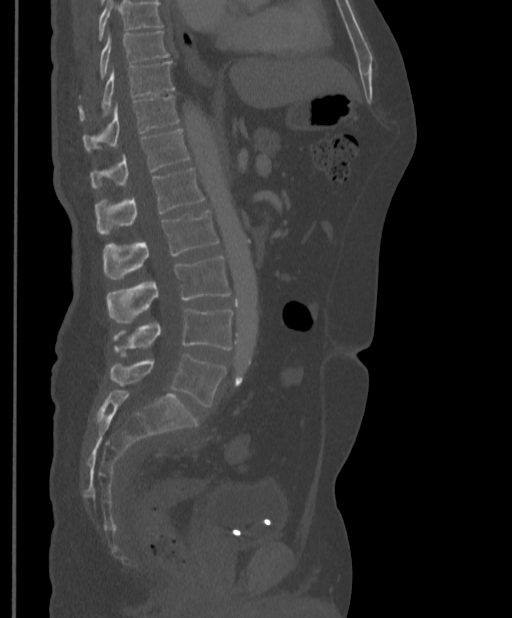
CT, spine — sagittal reformat — the image is 397 mm wide — bone window
Coordinates as <box>x1,y1,x2,y2</box>.
Vertebrae that run past the top of the scan are left unlabeled.
Vertebra bounding boxes:
- T9: <box>99,31,169,78</box>
- T10: <box>80,61,174,120</box>
- T11: <box>84,95,179,151</box>
- T12: <box>90,129,190,187</box>
- L1: <box>95,168,204,232</box>
- L2: <box>103,210,219,279</box>
- L3: <box>107,257,231,323</box>
- L4: <box>113,308,232,355</box>
- L5: <box>111,355,226,407</box>